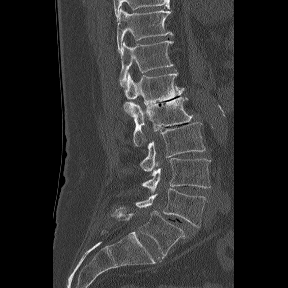

CT, spine · sagittal reformat · 288x288 px
Box values are [left, top, right, bottom] in pixels.
These labels give the spine a sixth lumbar vertebra, L6, below L5.
{"vertebrae":{"T11":[117,9,173,51],"T12":[118,41,174,87],"L1":[125,72,184,105],"L2":[124,97,192,146],"L3":[140,122,205,171],"L4":[142,158,210,193],"L5":[136,188,207,227],"L6":[111,208,186,255]}}